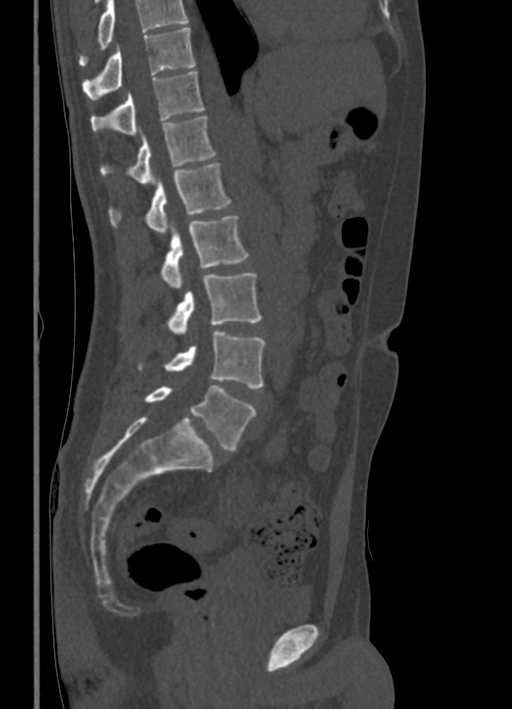 CT spine; sagittal view; bone-window reconstruction

Vertebrae that run past the top of the scan are left unlabeled.
<vertebrae><v name="T10" x1="82" y1="27" x2="195" y2="99"/><v name="T11" x1="91" y1="72" x2="205" y2="134"/><v name="T12" x1="100" y1="116" x2="215" y2="184"/><v name="L1" x1="109" y1="163" x2="230" y2="237"/><v name="L2" x1="161" y1="215" x2="249" y2="288"/><v name="L3" x1="167" y1="273" x2="261" y2="334"/><v name="L4" x1="138" y1="331" x2="266" y2="388"/><v name="L5" x1="145" y1="385" x2="256" y2="450"/></vertebrae>